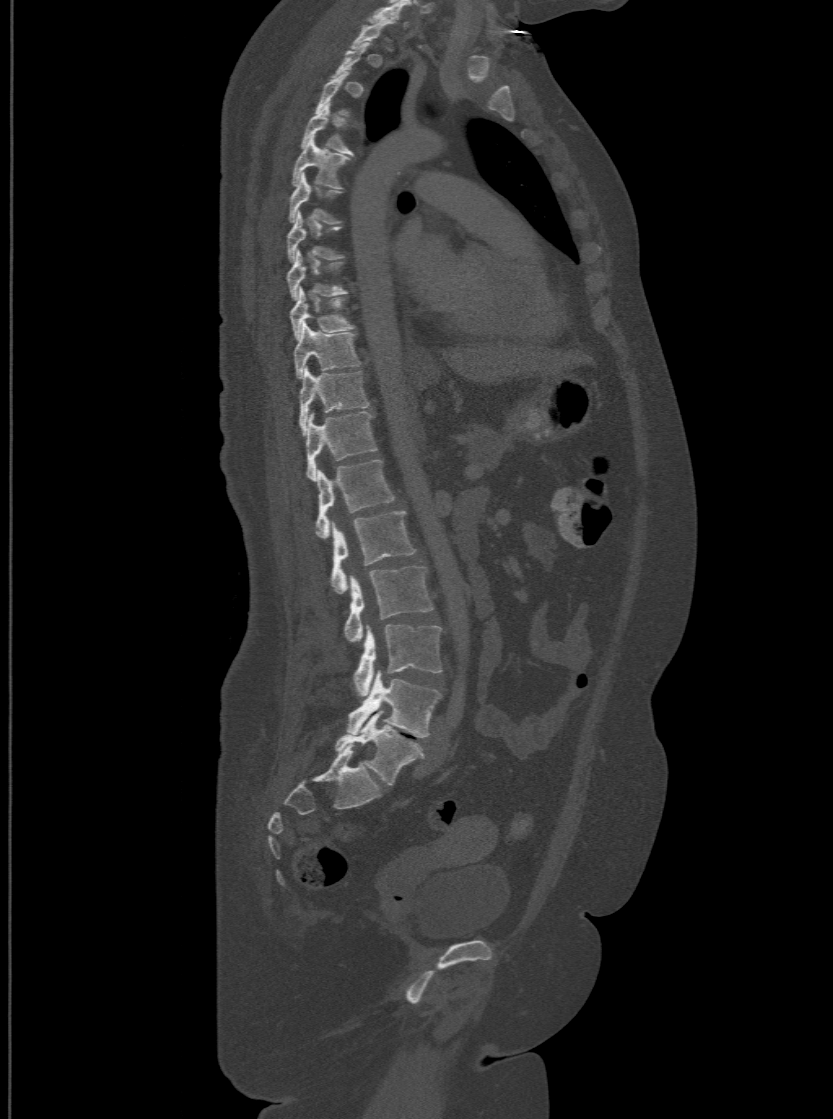

CT — sagittal reformat — Bone window (WL 400, WW 1800)

Bounding boxes as [x1, y1, x2, y2] in pixel coordinates.
Each vertebra is boxed only on the slices from the first to the last where its cross-section reaches a third of its largest, so a slice outside that range leaves it unboxed.
The labels name a sixth lumbar vertebra for this spine: L6, after L5.
Vertebra bounding boxes:
- L6: [335, 711, 424, 785]
- L5: [347, 671, 440, 737]
- L4: [353, 624, 442, 695]
- L3: [343, 566, 434, 642]
- L2: [330, 510, 414, 593]
- L1: [316, 458, 395, 537]
- T12: [304, 410, 377, 479]
- T11: [298, 367, 368, 432]
- T10: [293, 322, 360, 376]
- T9: [290, 287, 354, 337]
- T8: [286, 248, 347, 299]
- T7: [286, 210, 342, 261]
- T6: [288, 173, 341, 222]
- T5: [291, 135, 347, 187]
- T4: [301, 102, 352, 154]